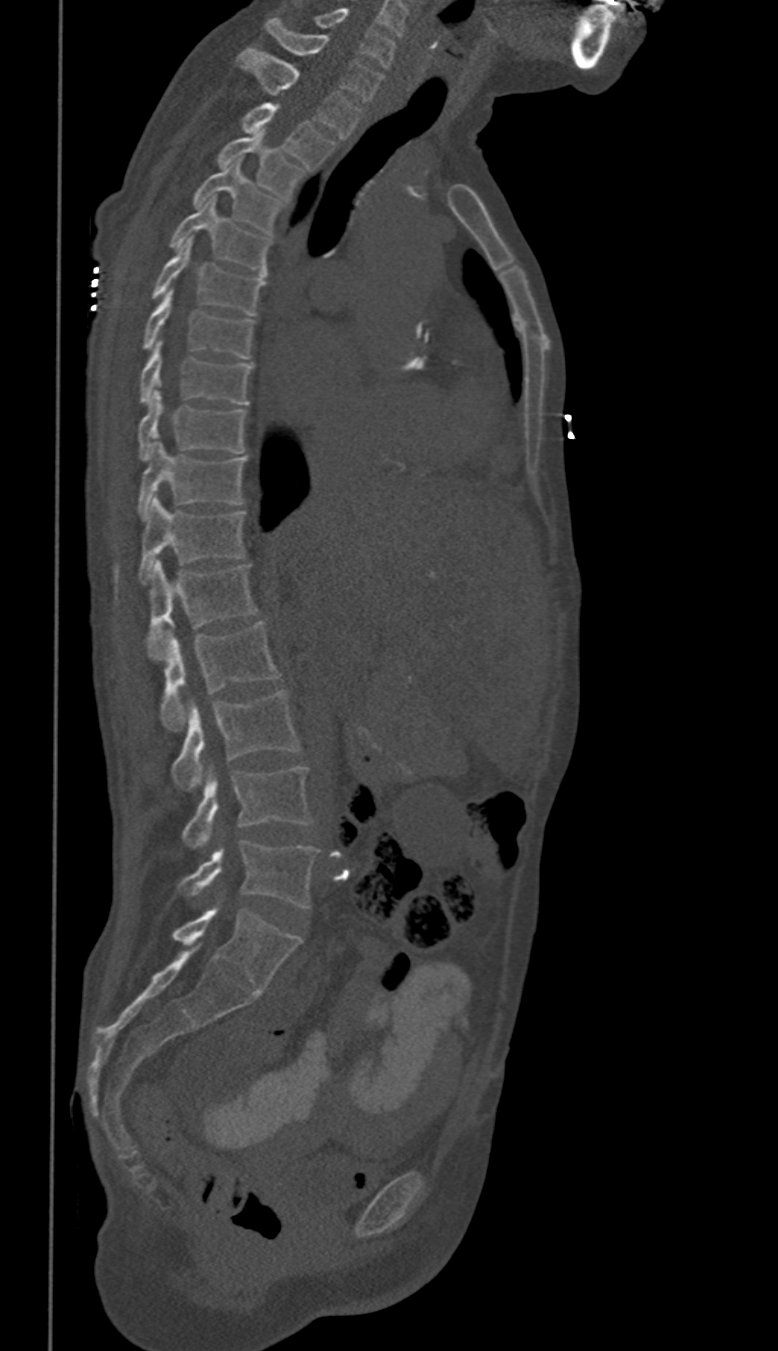 CT spine; sagittal reformat
Box values are [left, top, right, bottom] in pixels.
In these labels the spine has no T12: the thoracic vertebrae end at T11, and L1 comes next.
{"vertebrae":{"C6":[313,7,394,68],"C7":[264,18,383,102],"T1":[237,47,361,137],"T2":[242,103,335,168],"T3":[220,132,303,197],"T4":[193,160,282,231],"T5":[170,198,269,275],"T6":[153,238,263,315],"T7":[144,287,253,357],"T8":[140,338,253,404],"T9":[137,389,245,462],"T10":[140,440,248,517],"T11":[140,496,245,582],"L1":[146,560,256,659],"L2":[160,623,279,731],"L3":[173,689,298,791],"L4":[182,765,310,848],"L5":[179,840,318,908]}}